Spine computed tomography. sagittal view
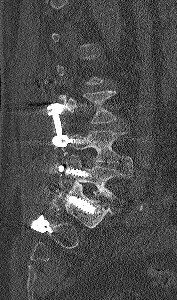
A vertebra gets a box only on the slices from the first to the last where its cross-section is at least a third of its largest; on a slice outside that range it gets none.
<vertebrae><v name="L3" x1="62" y1="90" x2="116" y2="123"/><v name="L4" x1="64" y1="127" x2="133" y2="172"/><v name="L5" x1="62" y1="155" x2="131" y2="199"/></vertebrae>